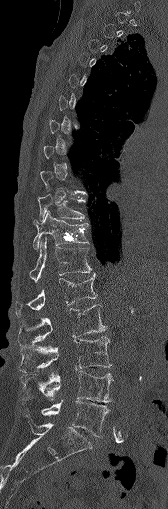

Spine CT. sagittal view. Bone window (WL 400, WW 1800). 168x509 px. 168 mm wide
Box values are [left, top, right, bottom] in pixels.
A vertebra gets a box only on the slices from the first to the last where its cross-section is at least a third of its largest; on a slice outside that range it gets none.
{"vertebrae":{"L5":[41,400,109,436],"L4":[21,370,112,402],"L3":[19,336,111,371],"L2":[18,304,105,346],"L1":[15,273,96,314],"T12":[29,237,91,282],"T11":[33,211,88,248],"T10":[37,194,84,220]}}